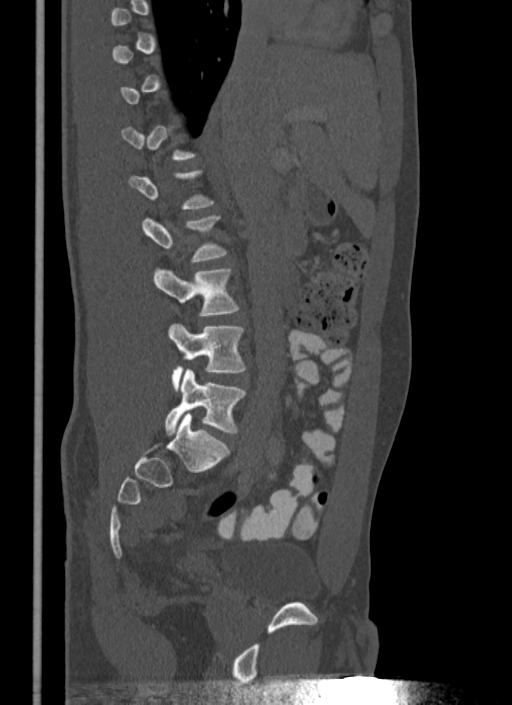 CT, spine · sagittal reformat

Each box given as x1,y1,x2,y2.
A vertebra is boxed only from the first to the last slice where its cross-section is at least a third of its largest; slices outside that range leave it without a box.
Vertebra bounding boxes:
- L3: x1=153, y1=270, x2=238, y2=315
- L4: x1=168, y1=324, x2=244, y2=389
- L5: x1=165, y1=369, x2=244, y2=434